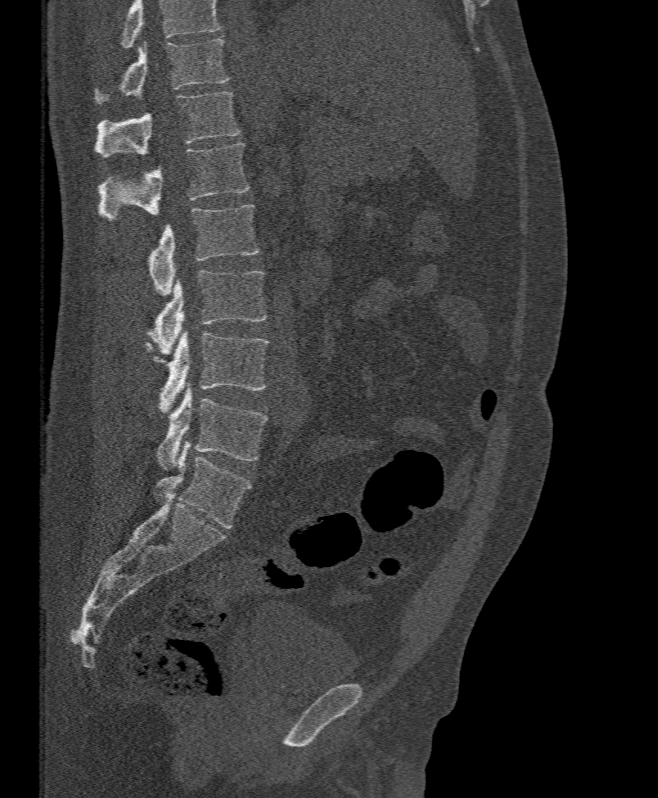

CT spine — sagittal view — 658x798 px
Vertebrae that run past the top of the scan are left unlabeled.
<vertebrae><v name="T11" x1="95" y1="38" x2="229" y2="102"/><v name="T12" x1="95" y1="92" x2="241" y2="157"/><v name="L1" x1="98" y1="143" x2="248" y2="221"/><v name="L2" x1="148" y1="205" x2="259" y2="294"/><v name="L3" x1="147" y1="270" x2="268" y2="354"/><v name="L4" x1="145" y1="330" x2="269" y2="413"/><v name="L5" x1="157" y1="385" x2="268" y2="469"/></vertebrae>